CT · sagittal view · 210 mm across the image · 6 vertebrae labeled in this scan
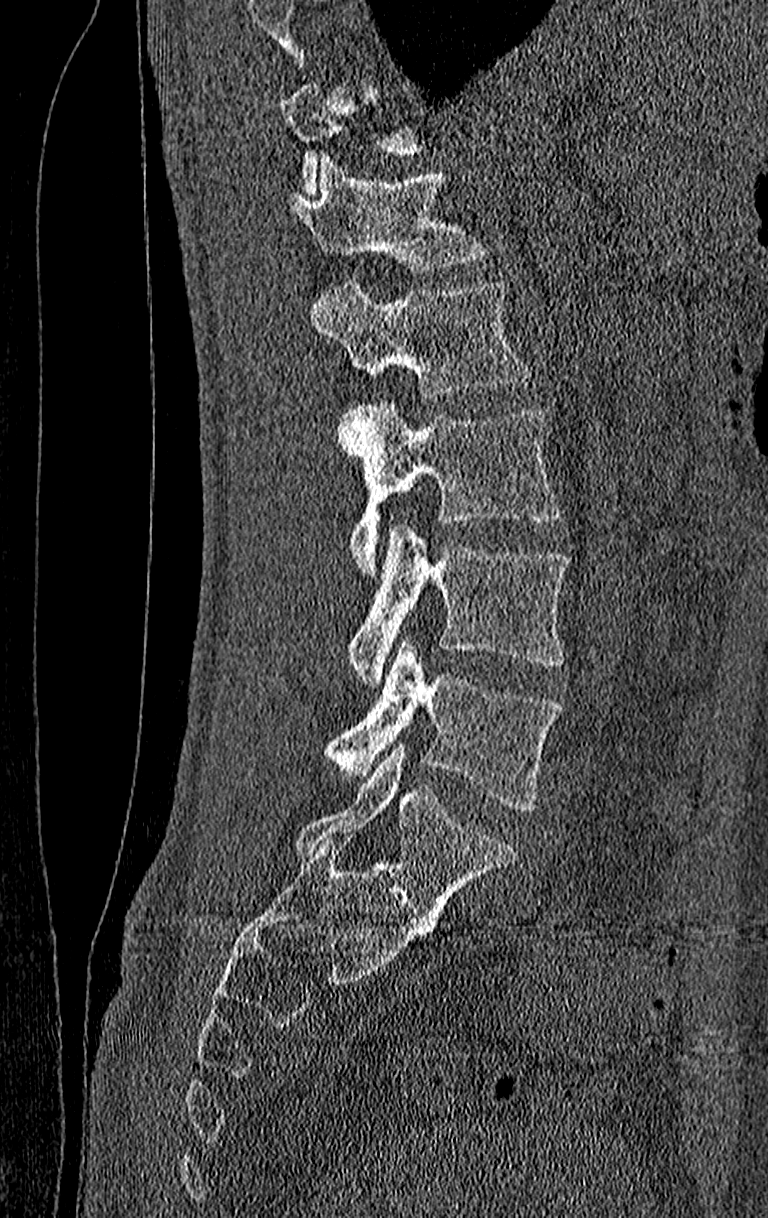

Each box given as x1,y1,x2,y2. A vertebra gets a box only on the slices from the first to the last where its cross-section is at least a third of its largest; on a slice outside that range it gets none. The highest labeled vertebra in this scan is T11; the lowest is L4. 5 vertebrae labeled — T12 at x1=284, y1=156, x2=491, y2=274; L1 at x1=310, y1=278, x2=532, y2=399; L2 at x1=337, y1=403, x2=561, y2=573; L3 at x1=346, y1=523, x2=568, y2=684; L4 at x1=324, y1=639, x2=561, y2=812.